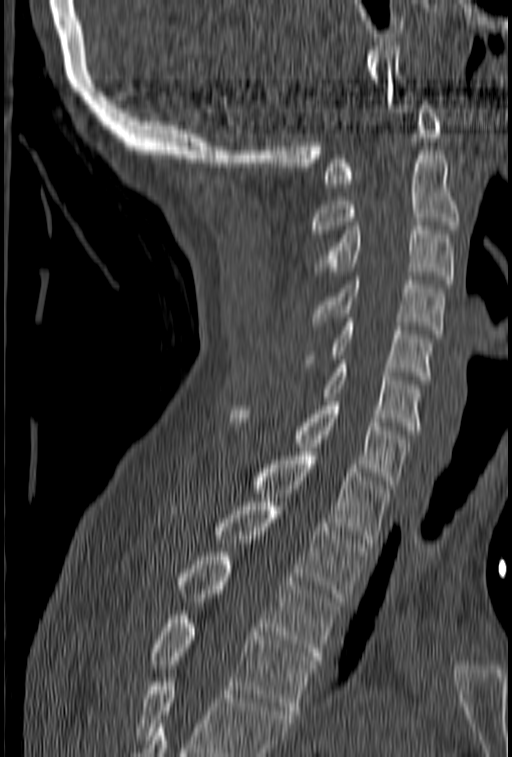

Spine computed tomography — sagittal reformat

Box values are [left, top, right, bottom] in pixels.
Vertebrae that run past the bottom of the scan are left unlabeled.
{"vertebrae":{"C1":[322,100,442,187],"C2":[312,151,459,237],"C3":[314,226,454,283],"C4":[313,276,445,334],"C5":[303,314,432,380],"C6":[322,360,422,430],"C7":[230,397,408,488],"T1":[252,452,388,543],"T2":[170,502,368,601],"T3":[182,552,338,660],"T4":[152,615,315,714]}}